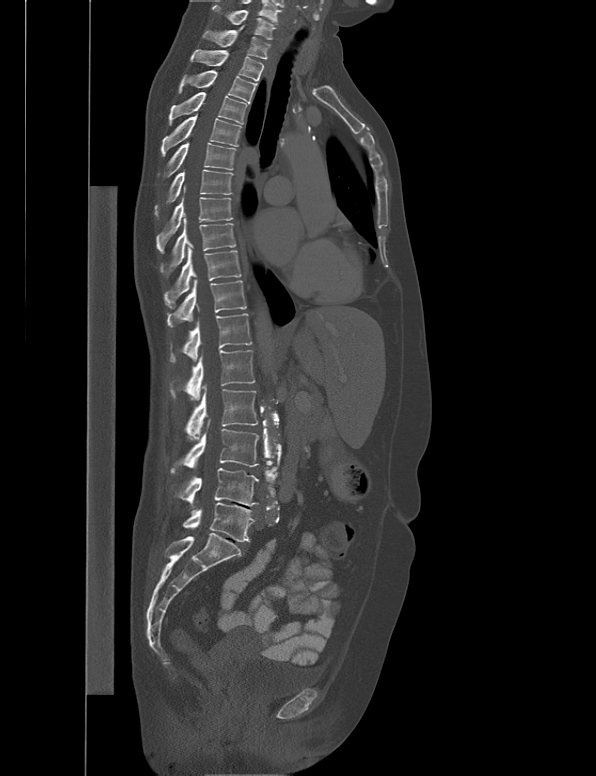
Spine computed tomography — sagittal view — 538 mm image width — 596x776 px
Boxes: x1 y1 x2 y2 (pixel coords, space-separated). Vertebrae labeled: C7 at 211 5 276 39, T1 at 202 25 271 59, T2 at 190 49 263 81, T3 at 178 69 257 103, T4 at 168 92 247 125, T5 at 160 114 242 156, T6 at 163 142 236 177, T7 at 154 169 234 216, T8 at 156 186 233 253, T9 at 159 219 236 276, T10 at 164 246 241 309, T11 at 167 279 246 327, T12 at 169 313 252 362, L1 at 170 350 254 400, L2 at 184 384 257 439, L3 at 170 418 258 473, L4 at 174 468 259 506, L5 at 182 502 255 542.